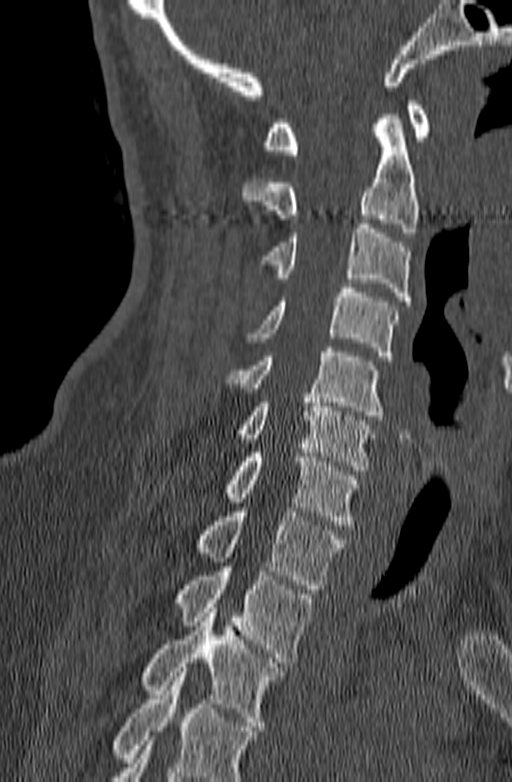
Spine CT; sagittal view; W/L 1800/400 HU; the image is 140 mm wide; 512x782 px
Boxes are given in columns x1, y1, x2, y2, the pixel coordinates of their top-left and bottom-right corners.
A vertebra cut off by the bottom edge of the scan is not labeled and has no box.
| vertebra | x1 | y1 | x2 | y2 |
|---|---|---|---|---|
| C1 | 263 | 101 | 430 | 154 |
| C2 | 241 | 114 | 419 | 237 |
| C3 | 258 | 224 | 410 | 301 |
| C4 | 246 | 283 | 399 | 360 |
| C5 | 224 | 347 | 384 | 420 |
| C6 | 235 | 393 | 374 | 470 |
| C7 | 224 | 453 | 359 | 529 |
| T1 | 195 | 507 | 344 | 589 |
| T2 | 173 | 567 | 314 | 662 |
| T3 | 141 | 608 | 284 | 730 |